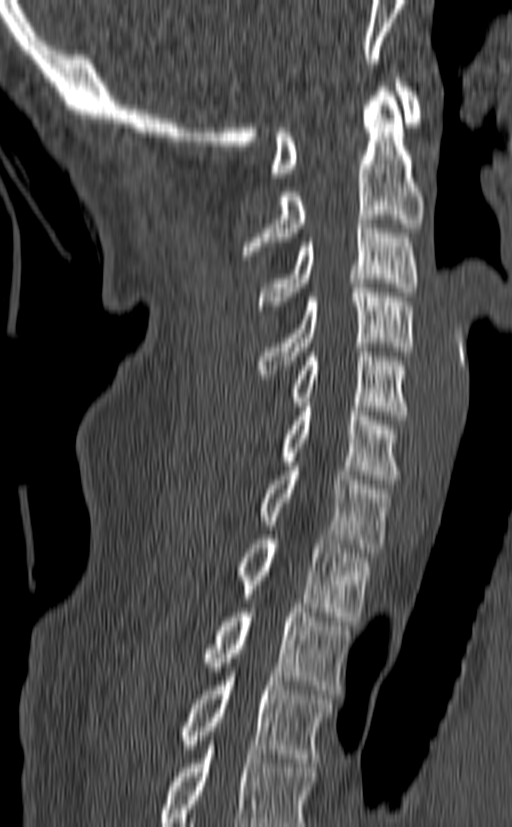
CT, spine — sagittal view — image 140 mm wide — 512x827 px
In the table, x1 and y1 are a box's top-left corner and x2 and y2 its bottom-right corner, in pixels.
The highest labeled vertebra in this scan is C1; the lowest is T3.
| vertebra | x1 | y1 | x2 | y2 |
|---|---|---|---|---|
| T3 | 181 | 672 | 333 | 762 |
| T2 | 202 | 608 | 351 | 694 |
| T1 | 235 | 535 | 370 | 621 |
| C7 | 259 | 462 | 392 | 552 |
| C6 | 281 | 402 | 401 | 484 |
| C5 | 290 | 347 | 407 | 420 |
| C4 | 255 | 283 | 414 | 378 |
| C3 | 258 | 219 | 418 | 310 |
| C2 | 242 | 87 | 423 | 260 |
| C1 | 271 | 78 | 421 | 177 |